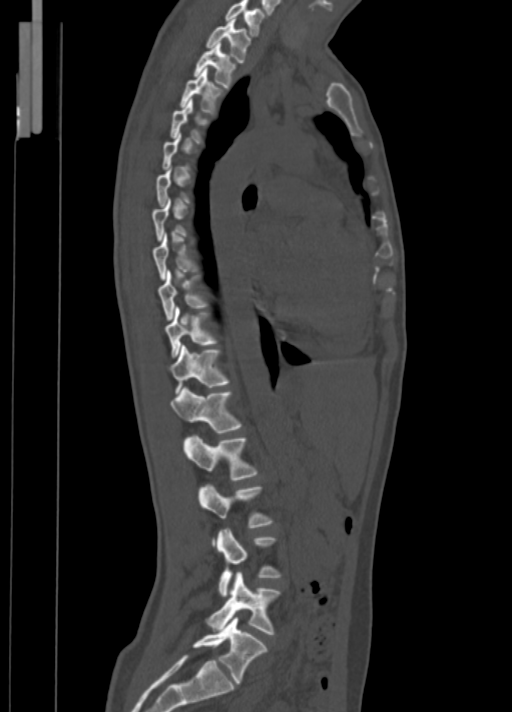
CT; sagittal view; W/L 1800/400 HU; 512x712 px
Box edges are left/top/right/bottom in pixels.
A vertebra is boxed only from the first to the last slice where its cross-section is at least a third of its largest; slices outside that range leave it without a box.
Vertebra bounding boxes:
- L5: left=193, top=617, right=266, bottom=684
- L4: left=207, top=572, right=280, bottom=634
- L3: left=216, top=528, right=280, bottom=596
- L2: left=199, top=484, right=271, bottom=527
- L1: left=184, top=436, right=256, bottom=480
- T12: left=171, top=388, right=240, bottom=433
- T11: left=168, top=345, right=228, bottom=393
- T10: left=164, top=307, right=217, bottom=357
- T9: left=158, top=271, right=206, bottom=319
- T3: left=180, top=67, right=221, bottom=113
- T2: left=194, top=42, right=234, bottom=88
- T1: left=206, top=19, right=250, bottom=62
- C7: left=225, top=0, right=264, bottom=34